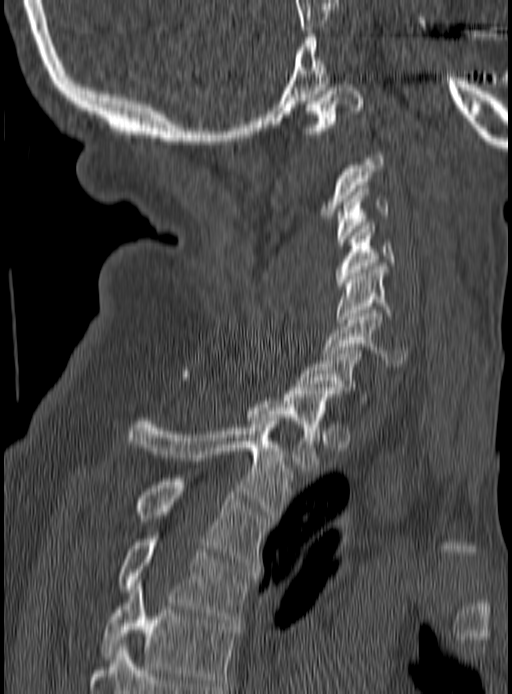

Computed tomography of the spine. sagittal view. bone-window reconstruction
Boxes: x1:y1:x2:y2 in pixels. A vertebra gets a box only on the slices from the first to the last where its cross-section is at least a third of its largest; on a slice outside that range it gets none. The labeled vertebrae in this slice are: C1 at 300:84:364:134, C3 at 335:185:389:245, C4 at 335:222:394:289, C5 at 337:266:391:322, C6 at 322:310:408:366, C7 at 297:350:368:403, T1 at 181:374:334:471, T2 at 128:418:294:518, T3 at 138:478:269:565, T4 at 119:536:256:622, T5 at 103:579:237:686.